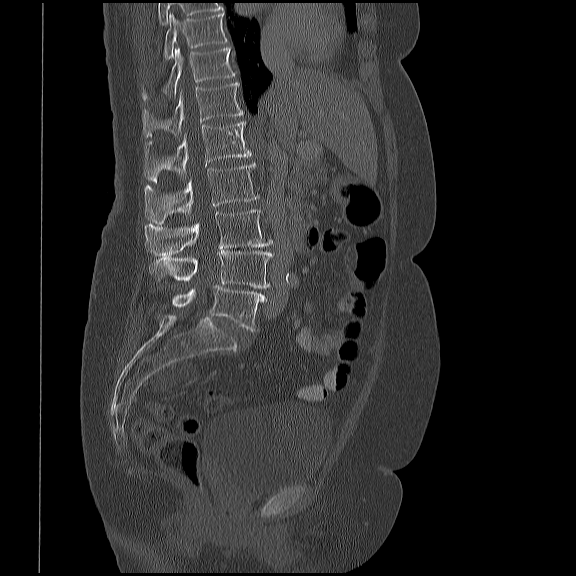
CT. 419 mm across the image. sagittal view. Boxes are given in columns x1, y1, x2, y2, the pixel coordinates of their top-left and bottom-right corners.
| vertebra | x1 | y1 | x2 | y2 |
|---|---|---|---|---|
| T10 | 164 | 12 | 228 | 59 |
| T11 | 142 | 46 | 236 | 101 |
| T12 | 142 | 82 | 243 | 137 |
| L1 | 143 | 122 | 251 | 182 |
| L2 | 145 | 163 | 259 | 224 |
| L3 | 145 | 209 | 273 | 257 |
| L4 | 149 | 251 | 273 | 288 |
| L5 | 172 | 285 | 265 | 331 |